CT, spine · sagittal view · 158x158 px · scan covers 8 annotated vertebrae
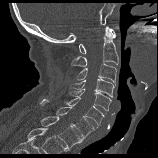

Box edges are left/top/right/bottom in pixels. The labeled vertebrae in this slice are: C1 at left=79, top=28, right=116, bottom=53, C2 at left=71, top=26, right=118, bottom=66, C3 at left=76, top=63, right=117, bottom=85, C4 at left=68, top=78, right=114, bottom=97, C5 at left=65, top=89, right=111, bottom=110, C6 at left=64, top=97, right=104, bottom=128, C7 at left=40, top=99, right=95, bottom=138, T1 at left=40, top=116, right=83, bottom=150.